CT; sagittal view; bone window
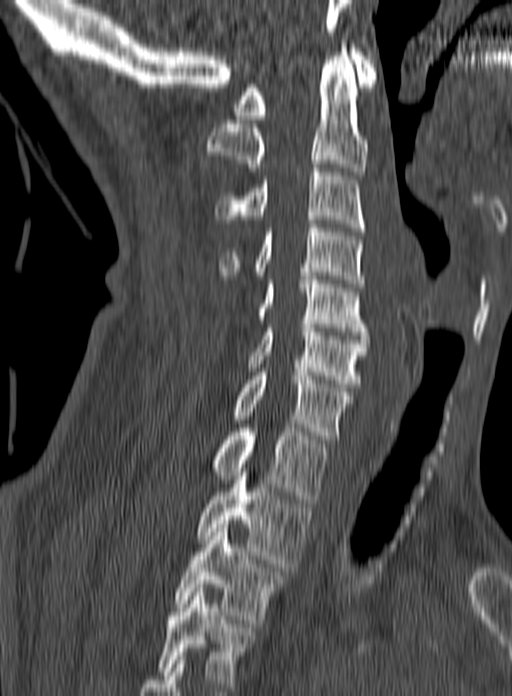

The highest labeled vertebra in this scan is C1; the lowest is T3.
<vertebrae><v name="C1" x1="234" y1="48" x2="377" y2="119"/><v name="C2" x1="205" y1="44" x2="369" y2="175"/><v name="C3" x1="213" y1="164" x2="365" y2="231"/><v name="C4" x1="218" y1="224" x2="364" y2="287"/><v name="C5" x1="258" y1="272" x2="368" y2="335"/><v name="C6" x1="248" y1="324" x2="369" y2="387"/><v name="C7" x1="231" y1="372" x2="353" y2="443"/><v name="T1" x1="212" y1="424" x2="328" y2="503"/><v name="T2" x1="196" y1="464" x2="311" y2="567"/><v name="T3" x1="174" y1="524" x2="285" y2="623"/></vertebrae>